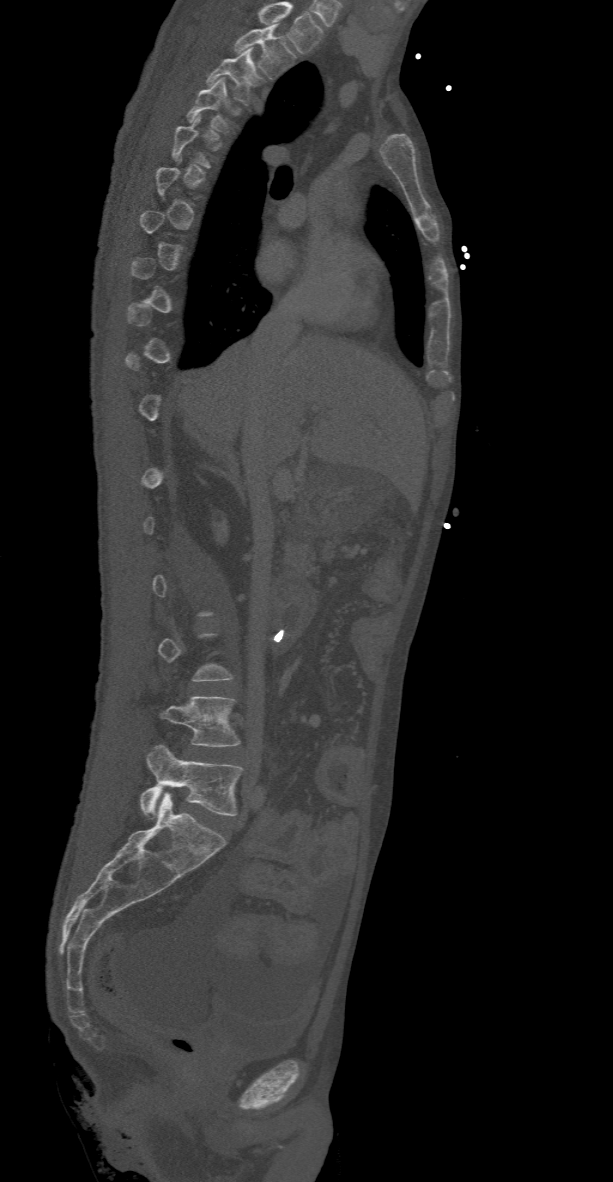

Spine computed tomography · sagittal view · 613x1182 px · 368 mm wide
Each box given as x1,y1,x2,y2.
Not every vertebra on this slice has a box: a vertebra is boxed only from the first to the last slice where its cross-section is at least a third of its largest, and this slice is outside that range for at least one of them.
Labels in this scan begin with T2 at the top and end with L5 at the bottom.
| vertebra | x1 | y1 | x2 | y2 |
|---|---|---|---|---|
| T2 | 234 | 24 | 295 | 78 |
| T3 | 206 | 47 | 265 | 104 |
| T4 | 187 | 79 | 240 | 135 |
| L4 | 163 | 696 | 241 | 746 |
| L5 | 140 | 744 | 243 | 818 |